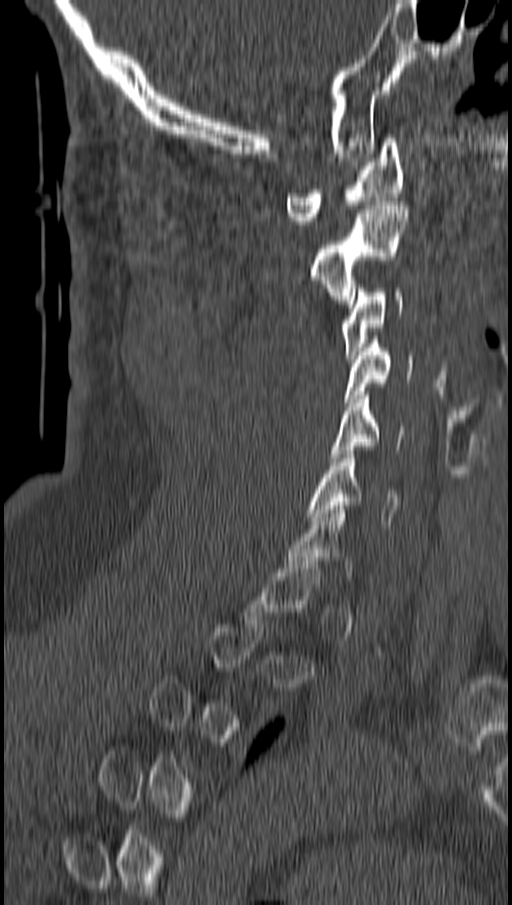 CT, spine · sagittal view
Coordinates as <box>x1,y1,x2,y2</box>. Each vertebra is boxed only on the slices from the first to the last where its cross-section reaches a third of its largest, so a slice outside that range leaves it unboxed. 6 vertebrae labeled — C1 at <box>286,138,405,224</box>; C2 at <box>311,201,408,303</box>; C3 at <box>342,284,402,359</box>; C4 at <box>346,336,411,402</box>; C5 at <box>330,391,405,461</box>; C6 at <box>308,450,398,528</box>.